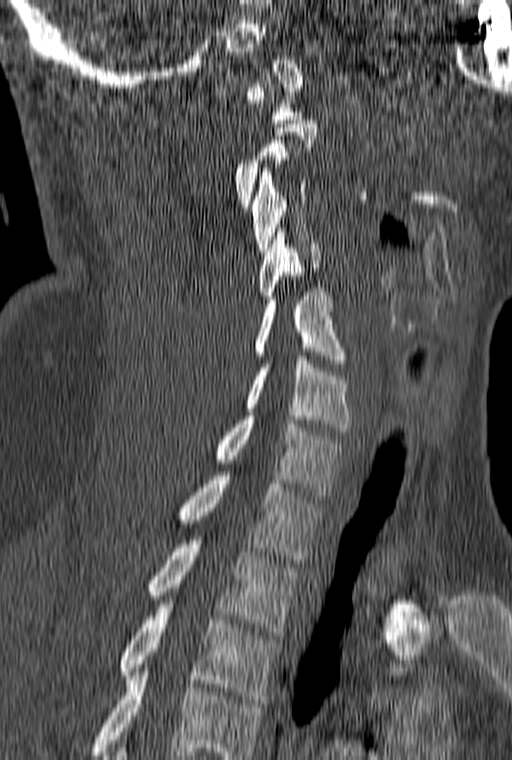

Computed tomography of the spine. sagittal view. bone-window reconstruction. 160 mm across the image

Boxes below are [x1, y1, x2, y2] in pixels.
Each vertebra is boxed only on the slices from the first to the last where its cross-section reaches a third of its largest, so a slice outside that range leaves it unboxed.
In this scan, the topmost labeled vertebra is C1 and the lowest is T3.
{"vertebrae":{"C1":[244,56,302,123],"C3":[252,168,310,255],"C4":[259,228,320,299],"C5":[255,288,343,367],"C6":[244,356,349,431],"C7":[217,416,346,495],"T1":[178,472,326,563],"T2":[148,540,298,635],"T3":[120,604,279,703]}}